CT spine · sagittal view · 512x1010 px · scan covers 12 annotated vertebrae · 140 mm image width
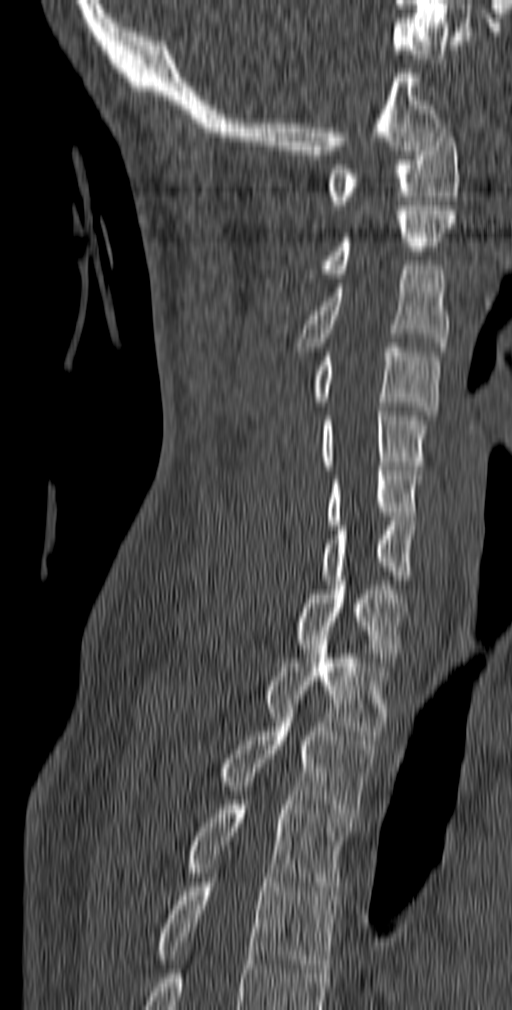 Bounding boxes as [x1, y1, x2, y2] in pixel coordinates.
T5: [155, 878, 339, 973]
T4: [183, 800, 351, 900]
T3: [217, 713, 375, 817]
T2: [265, 631, 389, 740]
T1: [294, 576, 408, 666]
C7: [320, 521, 414, 584]
C6: [326, 466, 421, 525]
C5: [320, 407, 428, 470]
C4: [312, 343, 440, 415]
C3: [297, 265, 450, 351]
C2: [322, 206, 456, 278]
C1: [327, 128, 459, 209]